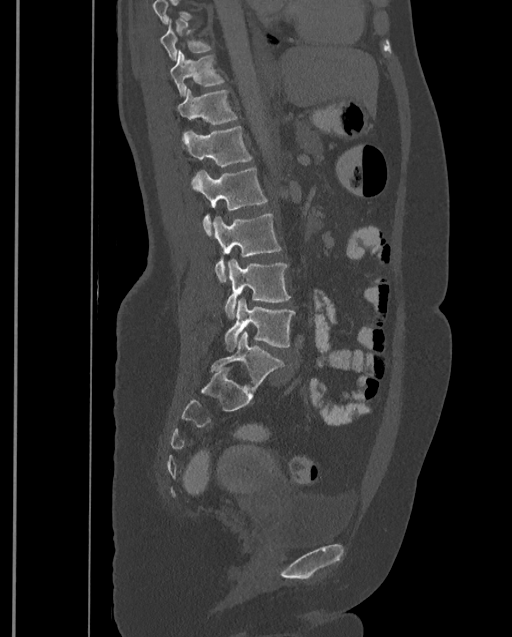 CT; sagittal reformat; image width 399 mm
Coordinates as <box>x1,y1,x2,y2</box>.
Where the top of the scan cuts through a vertebra, that vertebra gets no label or box.
This scan's labels start at T9 at the top and end at L4 at the bottom.
Vertebra bounding boxes:
- T9: <box>160,20,212,60</box>
- T10: <box>169,50,225,96</box>
- T11: <box>176,89,238,125</box>
- T12: <box>181,126,252,166</box>
- L1: <box>191,167,267,236</box>
- L2: <box>213,212,281,282</box>
- L3: <box>224,259,290,319</box>
- L4: <box>224,298,294,350</box>